CT spine. Sagittal slice 218/512. bone window. 9 vertebrae labeled in this scan. part of the image has been replaced by a constant value
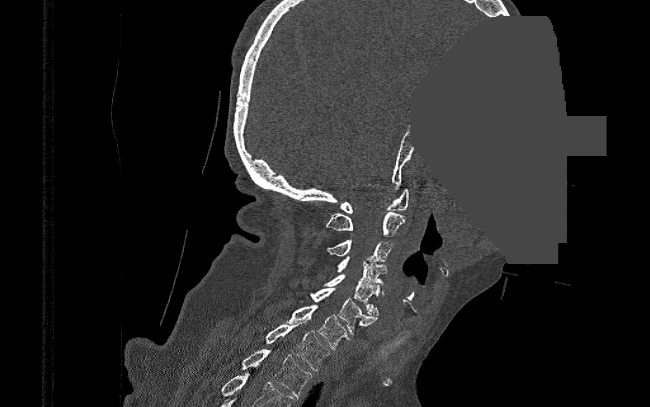 Box edges are left/top/right/bottom in pixels. The labeled vertebrae in this slice are: T2 at left=241, top=349, right=311, bottom=398, T1 at left=265, top=320, right=329, bottom=371, C7 at left=287, top=305, right=349, bottom=349, C6 at left=311, top=288, right=377, bottom=334, C5 at left=324, top=274, right=380, bottom=315, C4 at left=338, top=256, right=386, bottom=294, C3 at left=326, top=239, right=393, bottom=262, C2 at left=326, top=212, right=404, bottom=236, C1 at left=340, top=189, right=409, bottom=213.